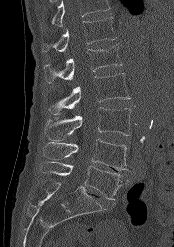 CT. sagittal view. the image spans 174 mm across. 174x247 px
Vertebrae that run past the top of the scan are left unlabeled.
<vertebrae><v name="T12" x1="42" y1="17" x2="116" y2="51"/><v name="L1" x1="43" y1="45" x2="122" y2="83"/><v name="L2" x1="48" y1="73" x2="130" y2="114"/><v name="L3" x1="45" y1="107" x2="130" y2="141"/><v name="L4" x1="42" y1="138" x2="128" y2="170"/><v name="L5" x1="38" y1="161" x2="128" y2="200"/></vertebrae>